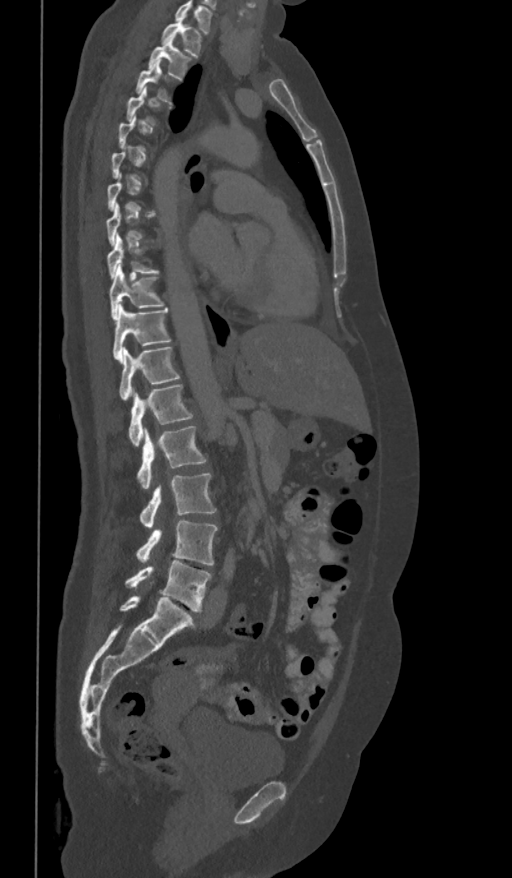
Spine CT. sagittal reformat. image 361 mm wide. bone window
Columns x1, y1, x2, y2 give each box's top-left and bottom-right pixels.
A vertebra gets a box only on the slices from the first to the last where its cross-section is at least a third of its largest; on a slice outside that range it gets none.
The highest labeled vertebra in this scan is T1; the lowest is L5.
| vertebra | x1 | y1 | x2 | y2 |
|---|---|---|---|---|
| T1 | 161 | 15 | 202 | 56 |
| T2 | 149 | 38 | 192 | 79 |
| T3 | 136 | 60 | 170 | 102 |
| T9 | 108 | 236 | 159 | 279 |
| T10 | 109 | 266 | 163 | 318 |
| T11 | 113 | 304 | 170 | 360 |
| T12 | 119 | 346 | 180 | 401 |
| L1 | 129 | 384 | 193 | 446 |
| L2 | 137 | 426 | 206 | 489 |
| L3 | 140 | 472 | 216 | 529 |
| L4 | 136 | 520 | 217 | 566 |
| L5 | 126 | 560 | 212 | 610 |